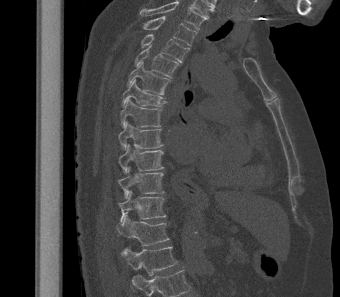 Spine CT — sagittal view — bone-window reconstruction — image 340 mm wide. Boxes: x1 y1 x2 y2 (pixel coords, space-separated).
The highest labeled vertebra in this scan is T2; the lowest is L1.
T2: 142 16 196 46
T3: 141 34 189 62
T4: 134 46 180 77
T5: 127 61 171 95
T6: 122 79 167 106
T7: 120 98 162 127
T8: 118 121 163 149
T9: 118 144 164 173
T10: 118 166 165 198
T11: 118 190 166 223
T12: 117 214 170 246
L1: 122 246 177 275